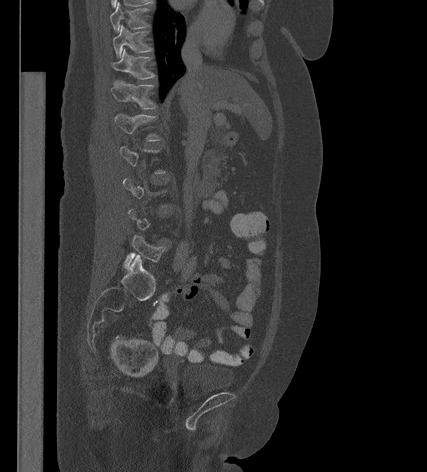 Spine computed tomography · 427 mm image width · sagittal view · Bone window (WL 400, WW 1800). Box edges are left/top/right/bottom in pixels.
Not every vertebra on this slice has a box: a vertebra is boxed only from the first to the last slice where its cross-section is at least a third of its largest, and this slice is outside that range for at least one of them.
T9: left=109, top=3, right=148, bottom=31
T10: left=112, top=26, right=151, bottom=57
T11: left=110, top=49, right=154, bottom=79
T12: left=111, top=81, right=156, bottom=109
L1: left=115, top=114, right=161, bottom=141
L5: left=124, top=235, right=165, bottom=269